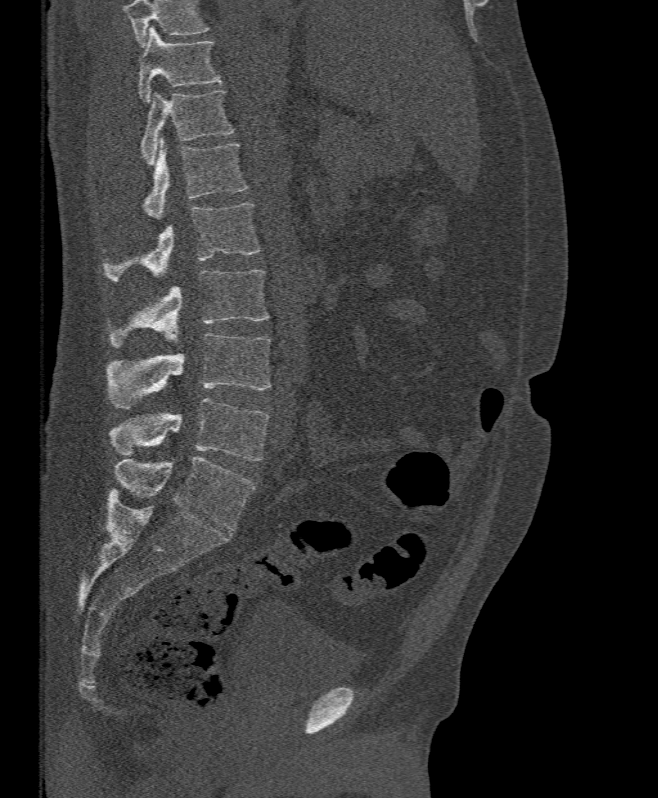 Spine computed tomography · sagittal reformat · bone-window reconstruction · the image spans 395 mm across. Each row gives a vertebra's box as x1, y1, x2, y2 in pixels: top-left corner, then bottom-right corner.
Where the top of the scan cuts through a vertebra, that vertebra gets no label or box.
| vertebra | x1 | y1 | x2 | y2 |
|---|---|---|---|---|
| T11 | 138 | 25 | 220 | 102 |
| T12 | 140 | 90 | 234 | 165 |
| L1 | 143 | 138 | 247 | 219 |
| L2 | 103 | 203 | 260 | 281 |
| L3 | 109 | 270 | 269 | 346 |
| L4 | 105 | 333 | 270 | 409 |
| L5 | 109 | 398 | 269 | 461 |